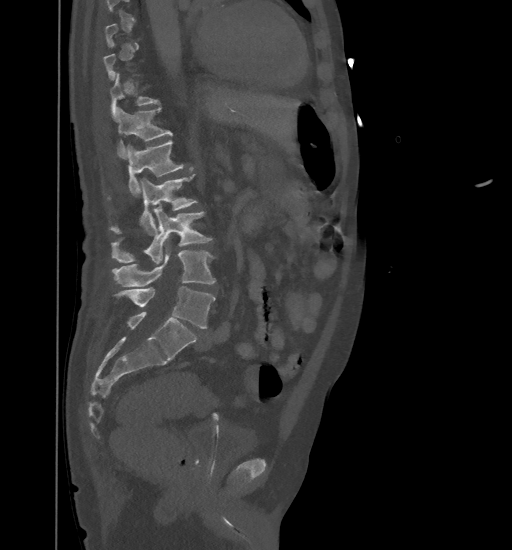

Spine computed tomography. sagittal reformat. bone-window reconstruction
In the table, x1 and y1 are a box's top-left corner and x2 and y2 its bottom-right corner, in pixels.
A vertebra is boxed only from the first to the last slice where its cross-section is at least a third of its largest; slices outside that range leave it without a box.
| vertebra | x1 | y1 | x2 | y2 |
|---|---|---|---|---|
| L5 | 113 | 287 | 215 | 328 |
| L4 | 112 | 245 | 215 | 287 |
| L3 | 111 | 206 | 212 | 264 |
| L2 | 110 | 175 | 197 | 234 |
| L1 | 126 | 140 | 183 | 196 |
| T12 | 117 | 108 | 171 | 157 |